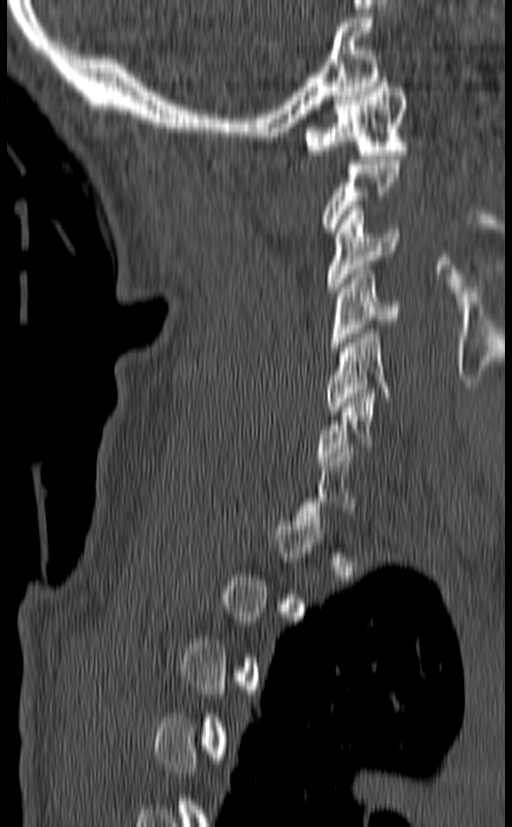 CT, spine — sagittal view — W/L 1800/400 HU

Boxes are (x1, y1, x2, y2) in pixels.
A vertebra is boxed only from the first to the last slice where its cross-section is at least a third of its largest; slices outside that range leave it without a box.
Vertebra bounding boxes:
- C6: (316, 389, 376, 465)
- C5: (326, 325, 389, 415)
- C4: (330, 265, 400, 351)
- C3: (326, 206, 401, 292)
- C1: (305, 78, 408, 159)